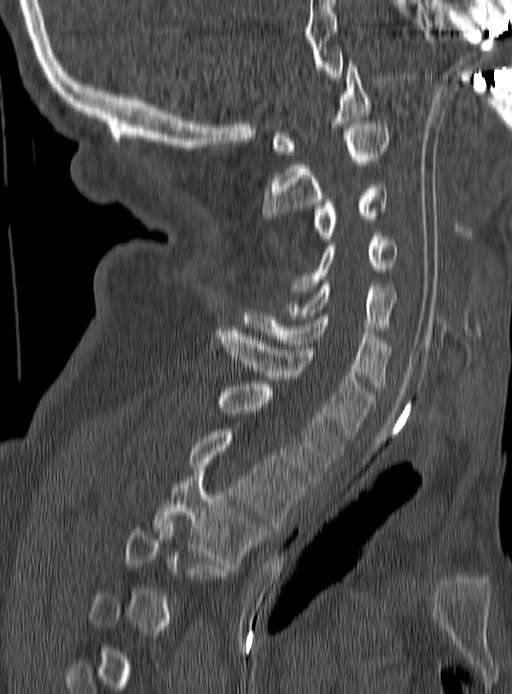
Spine computed tomography — sagittal view — bone-window reconstruction — 190 mm across the image — 512x694 px. Columns x1, y1, x2, y2 give each box's top-left and bottom-right pixels.
A vertebra gets a box only on the slices from the first to the last where its cross-section is at least a third of its largest; on a slice outside that range it gets none.
| vertebra | x1 | y1 | x2 | y2 |
|---|---|---|---|---|
| C1 | 273 | 64 | 371 | 154 |
| C2 | 262 | 121 | 388 | 221 |
| C3 | 313 | 182 | 388 | 242 |
| C4 | 289 | 232 | 396 | 295 |
| C5 | 289 | 283 | 396 | 329 |
| C6 | 243 | 310 | 391 | 390 |
| C7 | 216 | 330 | 374 | 437 |
| T1 | 216 | 384 | 342 | 484 |
| T2 | 189 | 431 | 304 | 528 |
| T3 | 154 | 472 | 267 | 565 |